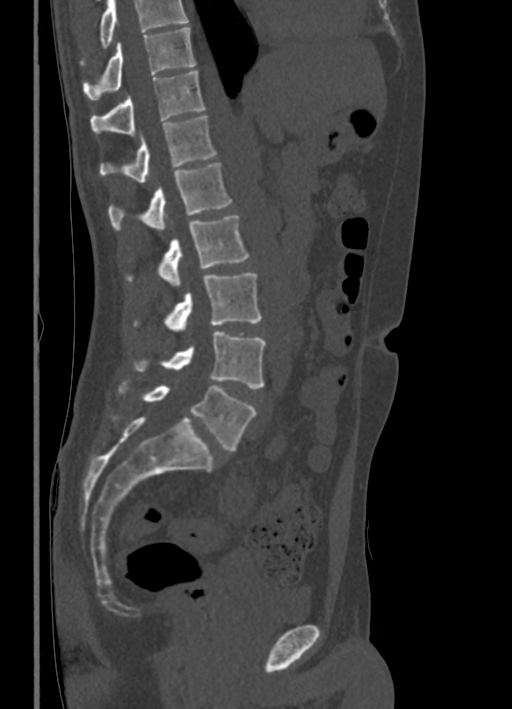

Spine computed tomography · sagittal view · the image spans 336 mm across · 512x709 px
Each vertebra maps to its box as [x1, y1, x2, y2], the pixel coordinates of its top-left and bottom-right corners.
Vertebrae that run past the top of the scan are left unlabeled.
{"vertebrae":{"T10":[84,27,195,99],"T11":[90,70,205,134],"T12":[99,115,217,182],"L1":[108,161,232,231],"L2":[125,215,249,286],"L3":[132,273,261,330],"L4":[132,331,266,388],"L5":[117,379,256,450]}}